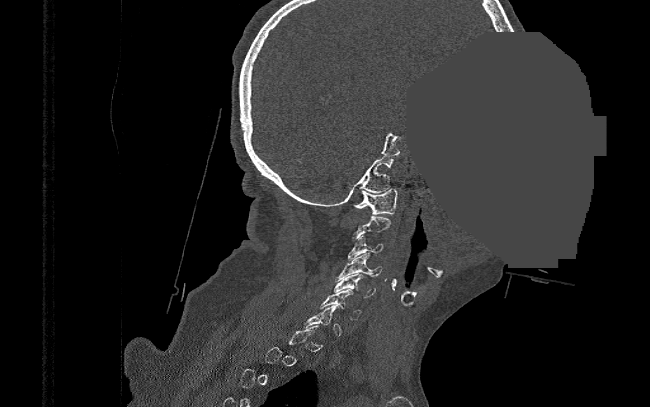 CT spine — 390 mm image width — sagittal reformat — bone window — some of the image was removed or blocked out with constant pixels

Each box given as x1,y1,x2,y2.
A vertebra gets a box only on the slices from the first to the last where its cross-section is at least a third of its largest; on a slice outside that range it gets none.
Vertebra bounding boxes:
- C6: x1=321, y1=289, x2=361, y2=319
- C5: x1=334, y1=273, x2=375, y2=297
- C4: x1=335, y1=253, x2=382, y2=280
- C3: x1=347, y1=235, x2=382, y2=260
- C1: x1=353, y1=189, x2=398, y2=214